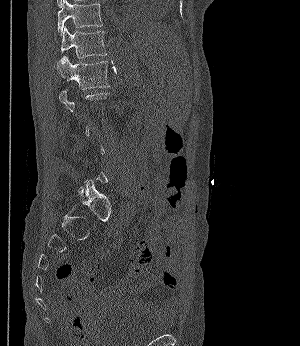 Spine computed tomography · sagittal reformat · W/L 1800/400 HU · 300x346 px · 300 mm across the image. Boxes: x1:y1:x2:y2 in pixels.
Each vertebra is boxed only on the slices from the first to the last where its cross-section reaches a third of its largest, so a slice outside that range leaves it unboxed.
T11: 57:0:102:35
T12: 61:26:106:58
L1: 54:56:109:89